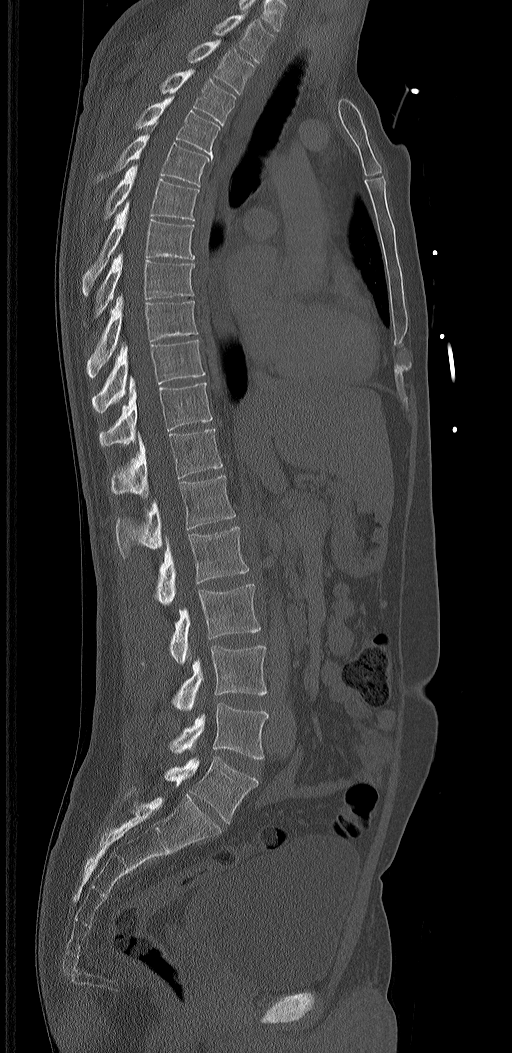

Spine computed tomography. sagittal reformat. Bone window (WL 400, WW 1800). 512x1053 px
Coordinates as <box>x1,y1,x2,y2</box>. These labels give the spine a sixth lumbar vertebra, L6, below L5. 18 vertebrae labeled — T1 at <box>213,14,273,63</box>; T2 at <box>188,40,254,94</box>; T3 at <box>160,69,236,124</box>; T4 at <box>133,96,220,158</box>; T5 at <box>96,122,209,187</box>; T6 at <box>101,164,199,220</box>; T7 at <box>82,202,195,295</box>; T8 at <box>84,253,195,326</box>; T9 at <box>87,295,198,377</box>; T10 at <box>92,340,204,412</box>; T11 at <box>100,376,212,447</box>; T12 at <box>111,429,222,498</box>; L1 at <box>116,476,235,558</box>; L2 at <box>156,527,249,606</box>; L3 at <box>141,584,260,665</box>; L4 at <box>172,645,267,710</box>; L5 at <box>170,703,268,759</box>; L6 at <box>164,757,257,823</box>.